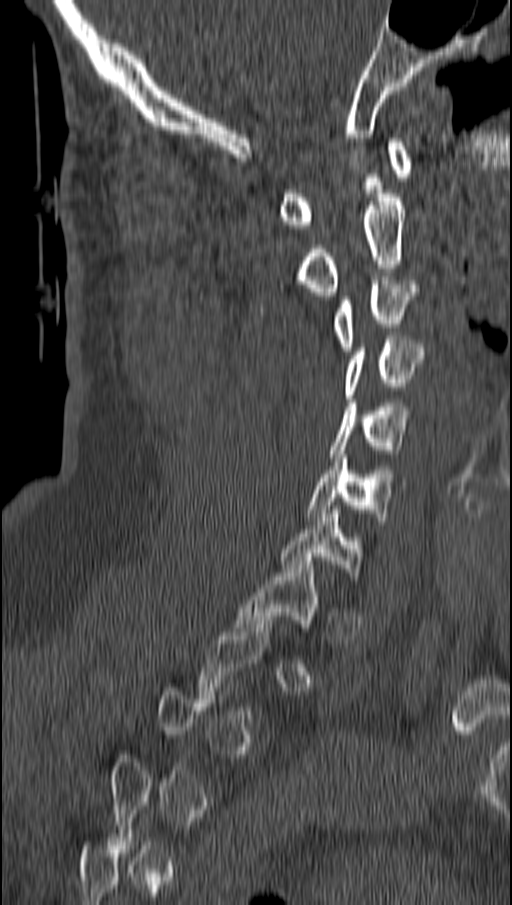
Computed tomography of the spine; sagittal view

Boxes below are [x1, y1, x2, y2] in pixels.
Not every vertebra on this slice has a box: a vertebra is boxed only from the first to the last slice where its cross-section is at least a third of its largest, and this slice is outside that range for at least one of them.
{"vertebrae":{"C1":[279,138,411,228],"C2":[295,194,405,295],"C3":[333,280,417,351],"C4":[346,336,424,398],"C5":[330,403,408,457],"C6":[308,454,411,524],"C7":[279,510,364,580],"T1":[235,561,319,631]}}